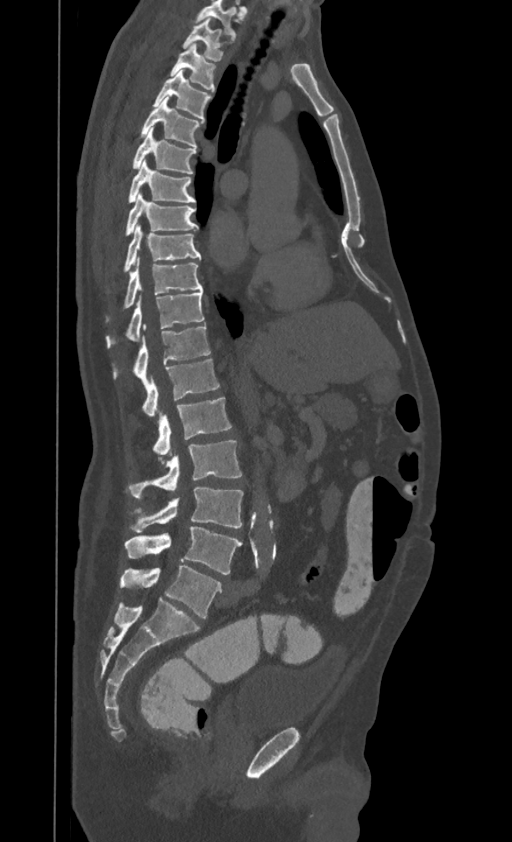

Computed tomography of the spine · the image is 395 mm wide · sagittal view
Boxes below are [x1, y1, x2, y2] in pixels.
The highest labeled vertebra in this scan is T1; the lowest is L4.
{"vertebrae":{"L4":[124,526,241,574],"L3":[133,488,243,532],"L2":[129,440,241,498],"L1":[153,397,231,455],"T12":[142,359,219,417],"T11":[114,324,210,386],"T10":[106,292,204,348],"T9":[124,258,202,307],"T8":[124,224,201,271],"T7":[126,192,197,235],"T6":[128,160,195,202],"T5":[133,127,195,174],"T4":[141,97,198,147],"T3":[154,70,210,120],"T2":[171,43,214,91],"T1":[183,17,222,61]}}